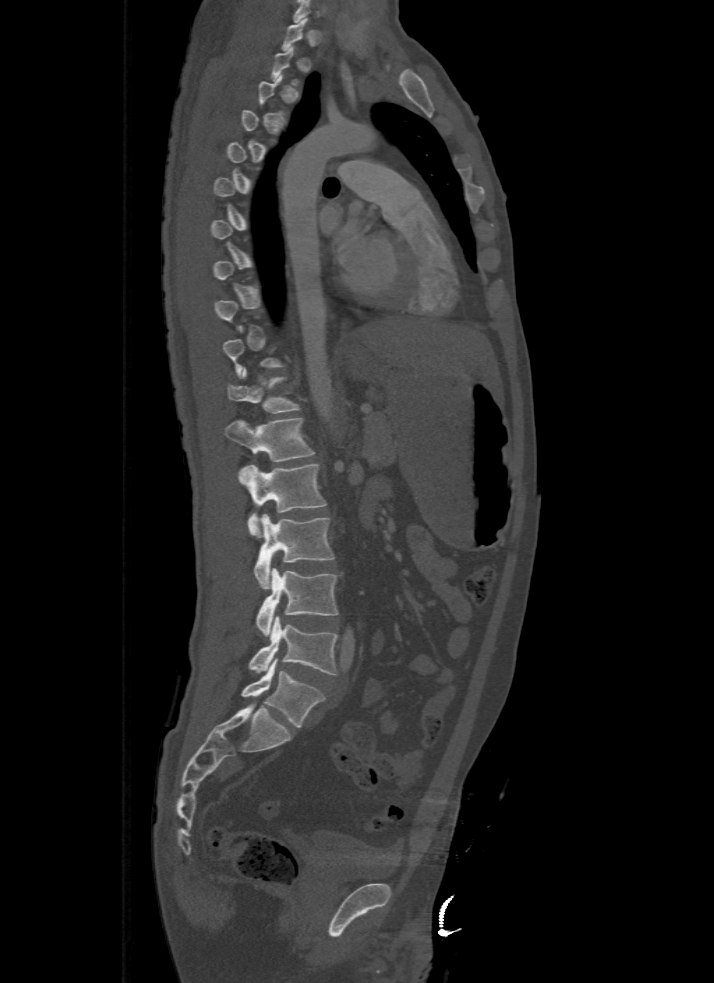
CT spine · sagittal view · 500 mm across the image
Each vertebra maps to its box as [x1, y1, x2, y2], the pixel coordinates of its top-left and bottom-right corners.
A vertebra gets a box only on the slices from the first to the last where its cross-section is at least a third of its largest; on a slice outside that range it gets none.
{"vertebrae":{"T11":[226,368,300,414],"T12":[225,418,314,462],"L1":[239,463,325,538],"L2":[254,513,335,588],"L3":[255,568,338,635],"L4":[248,616,338,675],"L5":[241,659,324,727]}}